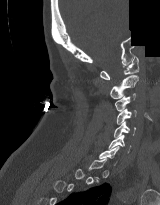
Spine CT · sagittal view · Bone window (WL 400, WW 1800) · 160x205 px · a region of this slice is masked with a uniform fill

Coordinates as <box>x1,y1,x2,y2</box>.
Not every vertebra on this slice has a box: a vertebra is boxed only from the first to the last slice where its cross-section is at least a third of its largest, and this slice is outside that range for at least one of them.
C6: <box>108,135,131,153</box>
C5: <box>114,121,136,137</box>
C4: <box>116,108,136,124</box>
C3: <box>114,93,136,111</box>
C2: <box>109,75,138,98</box>
C1: <box>99,56,139,79</box>